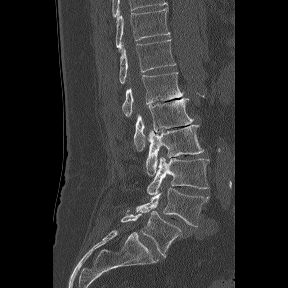 Computed tomography of the spine; sagittal view; W/L 1800/400 HU

The labels name a sixth lumbar vertebra for this spine: L6, after L5.
<vertebrae><v name="L6" x1="121" y1="210" x2="187" y2="257"/><v name="L5" x1="136" y1="188" x2="208" y2="226"/><v name="L4" x1="147" y1="157" x2="209" y2="195"/><v name="L3" x1="145" y1="125" x2="203" y2="175"/><v name="L2" x1="133" y1="98" x2="192" y2="151"/><v name="L1" x1="122" y1="72" x2="183" y2="116"/><v name="T12" x1="119" y1="39" x2="176" y2="83"/><v name="T11" x1="116" y1="8" x2="170" y2="50"/></vertebrae>